Spine CT; Sagittal slice 266/512
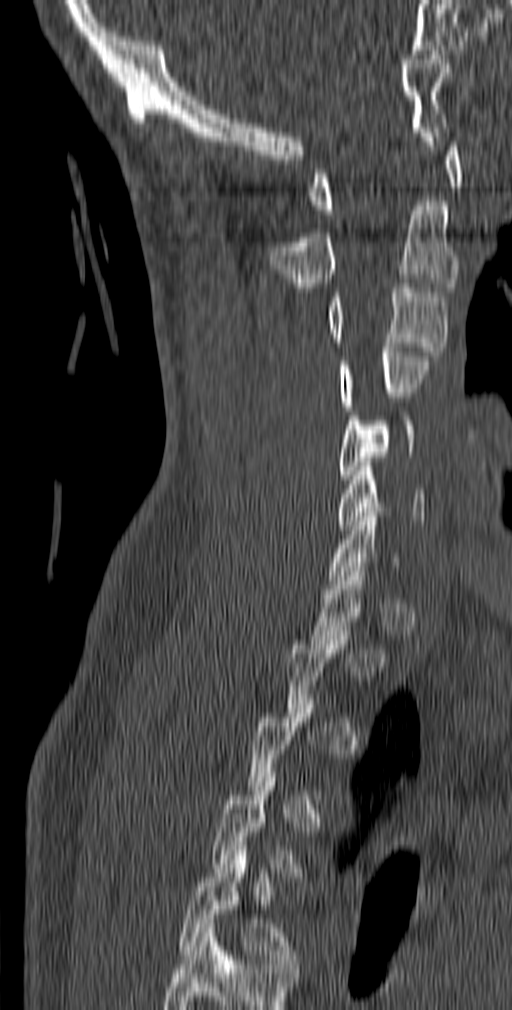

Boxes: x1 y1 x2 y2 (pixel coords, space-separated). Not every vertebra on this slice has a box: a vertebra is boxed only from the first to the last slice where its cross-section is at least a third of its largest, and this slice is outside that range for at least one of them. In this scan, the topmost labeled vertebra is C1 and the lowest is T5. 7 vertebrae labeled — T5 at 179 850 298 968; C6 at 338 462 425 529; C5 at 338 411 414 484; C4 at 338 347 428 410; C3 at 326 283 447 356; C2 at 270 201 459 287; C1 at 309 142 462 214.